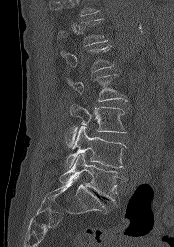 CT spine; sagittal reformat; Bone window (WL 400, WW 1800)
Boxes below are [x1, y1, x2, y2] in pixels.
No box is given to a vertebra that the top edge of the scan cuts off.
{"vertebrae":{"T12":[59,18,108,45],"L1":[61,46,114,72],"L2":[67,74,127,101],"L3":[67,104,127,147],"L4":[65,126,126,168],"L5":[59,153,125,204]}}